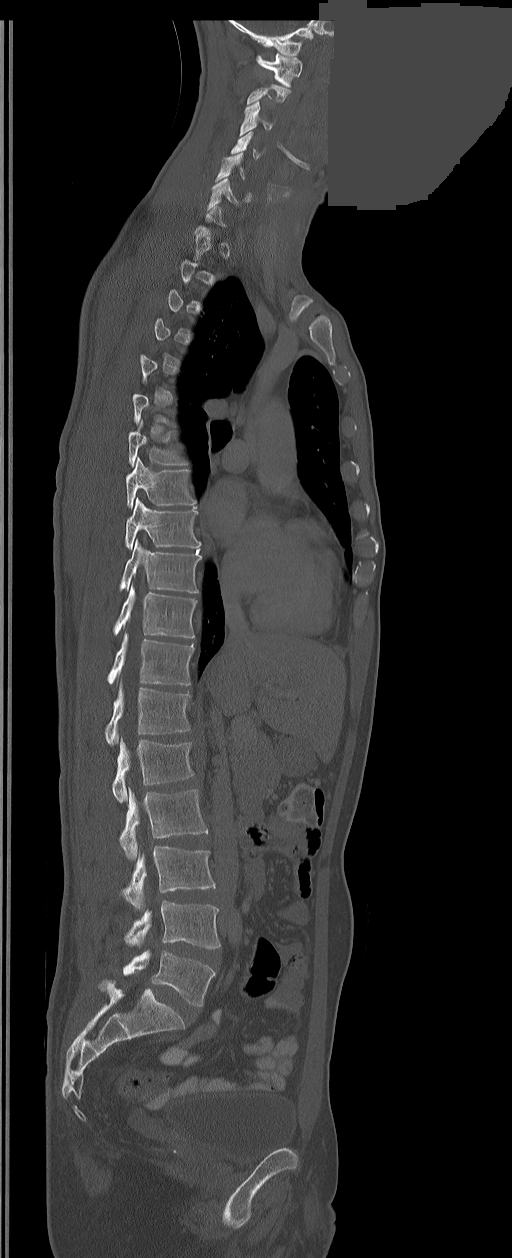 CT spine; sagittal view; bone-window reconstruction; part of the image is a flat gray fill, not anatomy
Box edges are left/top/right/bottom in pixels. A vertebra gets a box only on the slices from the first to the last where its cross-section is at least a third of its largest; on a slice outside that range it gets none. The labels name a sixth lumbar vertebra for this spine: L6, after L5. Vertebrae labeled: C1 at left=256, top=53, right=302, bottom=87, C3 at left=239, top=102, right=271, bottom=136, C4 at left=231, top=132, right=260, bottom=159, C5 at left=215, top=154, right=245, bottom=181, C6 at left=207, top=179, right=249, bottom=209, T7 at left=128, top=419, right=186, bottom=466, T8 at left=126, top=457, right=195, bottom=508, T9 at left=125, top=499, right=200, bottom=549, T10 at left=120, top=540, right=201, bottom=593, T11 at left=113, top=585, right=197, bottom=637, T12 at left=107, top=632, right=194, bottom=685, L1 at left=106, top=683, right=189, bottom=745, L2 at left=111, top=739, right=194, bottom=802, L3 at left=119, top=789, right=207, bottom=859, L4 at left=123, top=846, right=214, bottom=909, L5 at left=125, top=901, right=220, bottom=949, L6 at left=123, top=950, right=214, bottom=1006.